CT; Sagittal slice 183/444
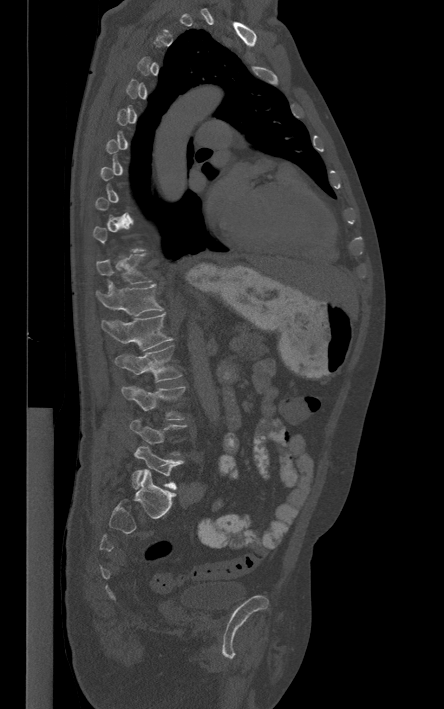

Coordinates as <box>x1,y1,x2,y2</box>. Not every vertebra on this slice has a box: a vertebra is boxed only from the first to the last slice where its cross-section is at least a third of its largest, and this slice is outside that range for at least one of them. Vertebrae labeled: T11 at <box>96,253,151,283</box>, T12 at <box>95,281,163,316</box>, L1 at <box>101,313,172,350</box>, L2 at <box>115,345,181,382</box>, L3 at <box>122,386,185,419</box>, L4 at <box>130,418,186,455</box>, L5 at <box>132,446,182,489</box>.